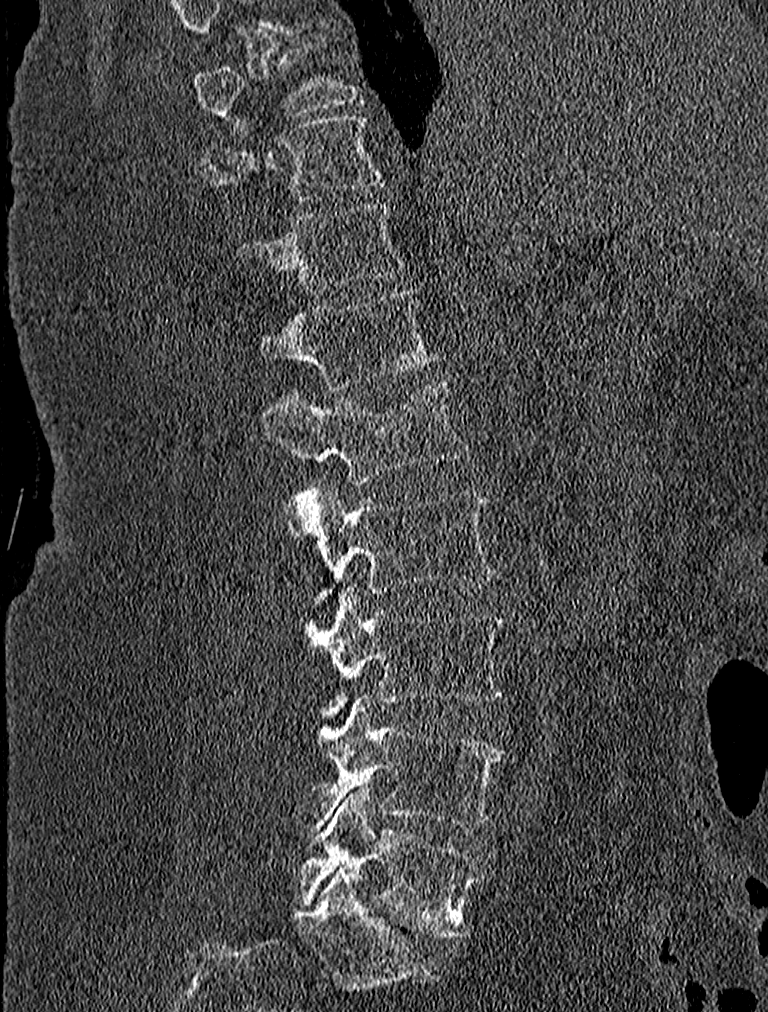

Spine CT. sagittal view. 768x1012 px
Each box given as x1,y1,x2,y2. Labels in this scan begin with T9 at the top and end with L5 at the bottom. The labeled vertebrae in this slice are: L5 at x1=297, y1=787, x2=482, y2=938, L4 at x1=295, y1=696, x2=507, y2=830, L3 at x1=304, y1=588, x2=509, y2=715, L2 at x1=286, y1=481, x2=495, y2=613, L1 at x1=263, y1=379, x2=468, y2=483, T12 at x1=258, y1=288, x2=438, y2=389, T11 at x1=235, y1=202, x2=404, y2=293, T10 at x1=202, y1=116, x2=384, y2=215, T9 at x1=192, y1=50, x2=356, y2=133.